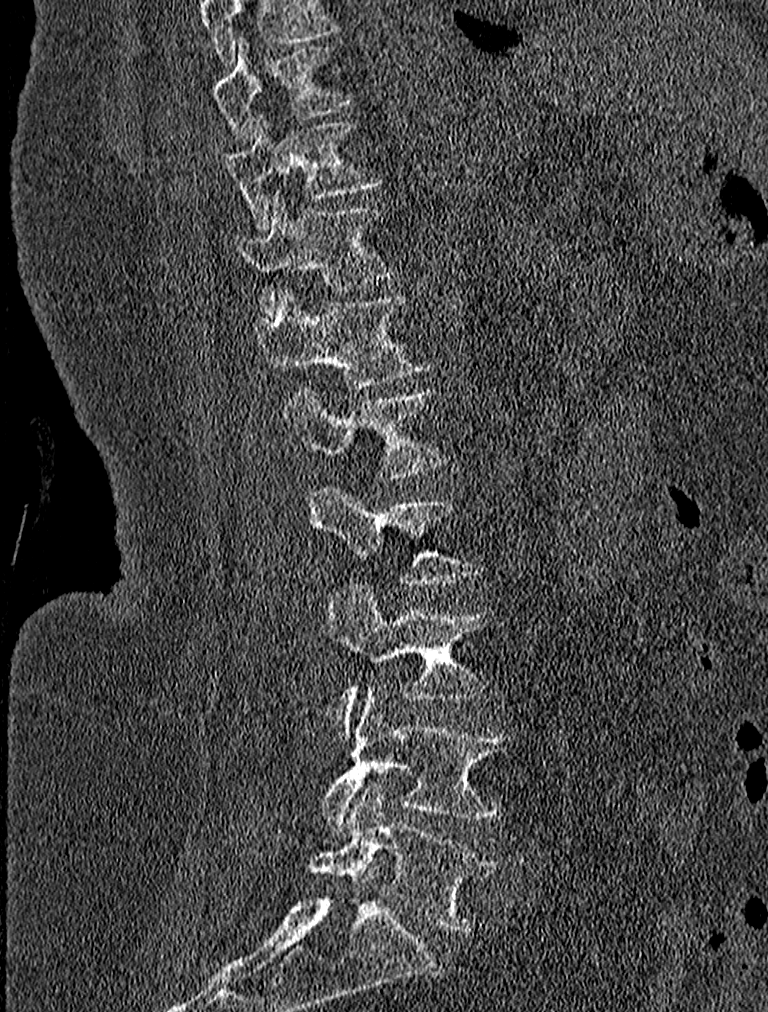

Spine computed tomography; sagittal view; W/L 1800/400 HU; 768x1012 px
In this scan, the topmost labeled vertebra is T9 and the lowest is L5.
<vertebrae><v name="T9" x1="212" y1="38" x2="353" y2="141"/><v name="T10" x1="222" y1="116" x2="380" y2="226"/><v name="T11" x1="235" y1="190" x2="394" y2="319"/><v name="T12" x1="260" y1="288" x2="434" y2="389"/><v name="L1" x1="283" y1="385" x2="444" y2="476"/><v name="L2" x1="310" y1="484" x2="482" y2="587"/><v name="L3" x1="327" y1="585" x2="488" y2="734"/><v name="L4" x1="320" y1="685" x2="513" y2="833"/><v name="L5" x1="307" y1="783" x2="495" y2="931"/></vertebrae>